Spine CT; sagittal plane, index 240
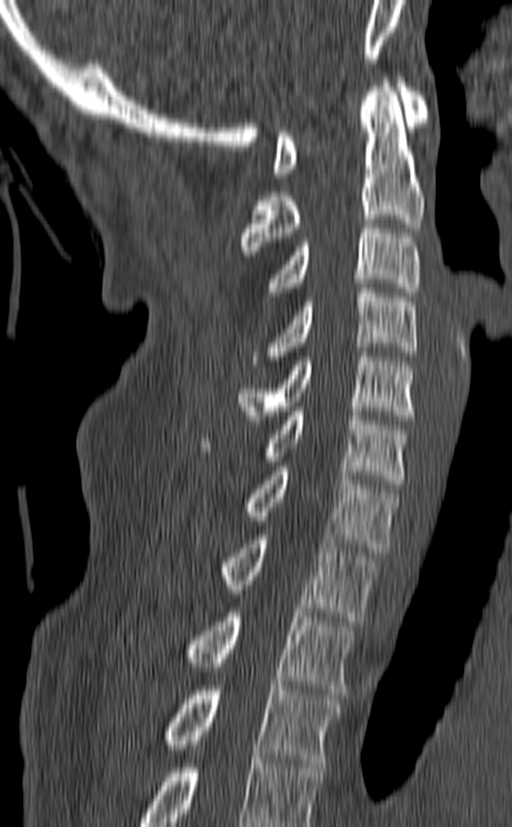

Bounding boxes as [x1, y1, x2, y2] in pixel coordinates. This scan's labels start at C1 at the top and end at T3 at the bottom. The labeled vertebrae in this slice are: T3 at [162, 686, 340, 767], T2 at [184, 608, 355, 694], T1 at [221, 535, 377, 621], C7 at [246, 466, 399, 552], C6 at [201, 407, 410, 488], C5 at [238, 352, 415, 424], C4 at [254, 288, 417, 365], C3 at [267, 219, 421, 296], C2 at [240, 78, 425, 250], C1 at [272, 78, 428, 177].